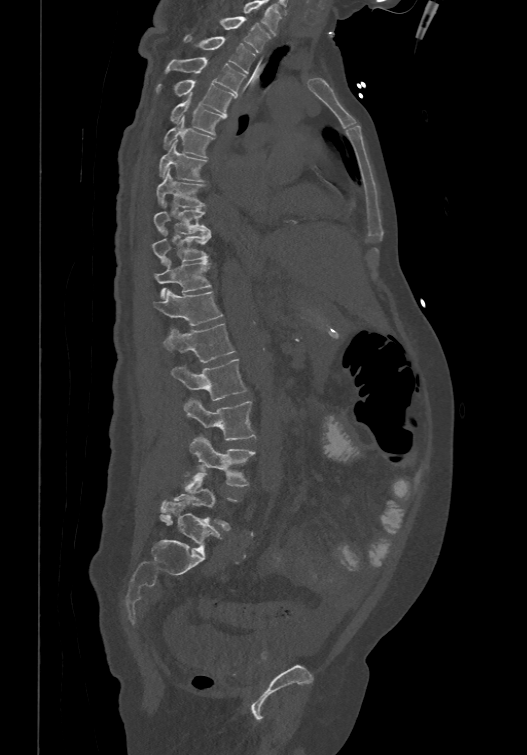

CT spine; sagittal view; the image spans 474 mm across. In the table, x1 and y1 are a box's top-left corner and x2 and y2 its bottom-right corner, in pixels.
In this scan, the topmost labeled vertebra is T1 and the lowest is L6.
These labels give the spine a sixth lumbar vertebra, L6, below L5.
| vertebra | x1 | y1 | x2 | y2 |
|---|---|---|---|---|
| T1 | 219 | 15 | 270 | 52 |
| T2 | 183 | 33 | 255 | 72 |
| T3 | 166 | 56 | 246 | 92 |
| T4 | 156 | 78 | 236 | 114 |
| T5 | 170 | 93 | 224 | 133 |
| T6 | 164 | 115 | 213 | 156 |
| T7 | 158 | 140 | 207 | 180 |
| T8 | 156 | 167 | 205 | 206 |
| T9 | 153 | 204 | 210 | 233 |
| T10 | 151 | 228 | 210 | 265 |
| T11 | 154 | 259 | 211 | 298 |
| T12 | 153 | 288 | 222 | 324 |
| L1 | 164 | 323 | 235 | 362 |
| L2 | 171 | 358 | 247 | 401 |
| L3 | 183 | 399 | 255 | 440 |
| L4 | 190 | 435 | 254 | 486 |
| L5 | 159 | 471 | 235 | 530 |
| L6 | 161 | 501 | 219 | 552 |